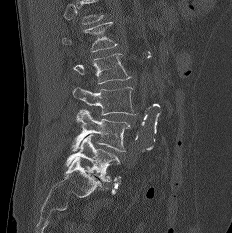
CT; sagittal view; bone window
Each box given as x1,y1,x2,y2. Vertebrae that run past the top of the scan are left unlabeled. 5 vertebrae labeled — L1 at x1=62, y1=22, x2=117, y2=51; L2 at x1=73, y1=53, x2=130, y2=83; L3 at x1=72, y1=87, x2=135, y2=115; L4 at x1=72, y1=108, x2=131, y2=151; L5 at x1=65, y1=134, x2=120, y2=181.